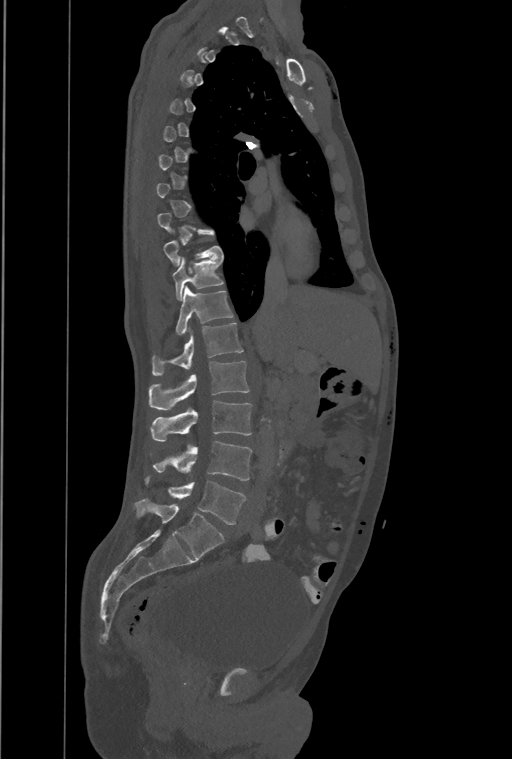 Spine CT; sagittal view; bone-window reconstruction
Coordinates as <box>x1,y1,x2,y2</box>.
A vertebra is boxed only from the first to the last slice where its cross-section is at least a third of its largest; slices outside that range leave it without a box.
The highest labeled vertebra in this scan is T1; the lowest is L4.
In these labels the spine has a T13, a thirteenth thoracic vertebra, between T12 and L1.
Vertebra bounding boxes:
- L4: <box>146,478,246,524</box>
- L3: <box>153,441,252,480</box>
- L2: <box>151,401,252,440</box>
- L1: <box>148,361,248,410</box>
- T13: <box>152,322,243,375</box>
- T12: <box>176,286,233,335</box>
- T11: <box>173,257,223,299</box>
- T10: <box>164,231,223,266</box>